Spine computed tomography — sagittal reformat — bone window — scan covers 23 annotated vertebrae — an area of the scan was removed and filled with constant pixels
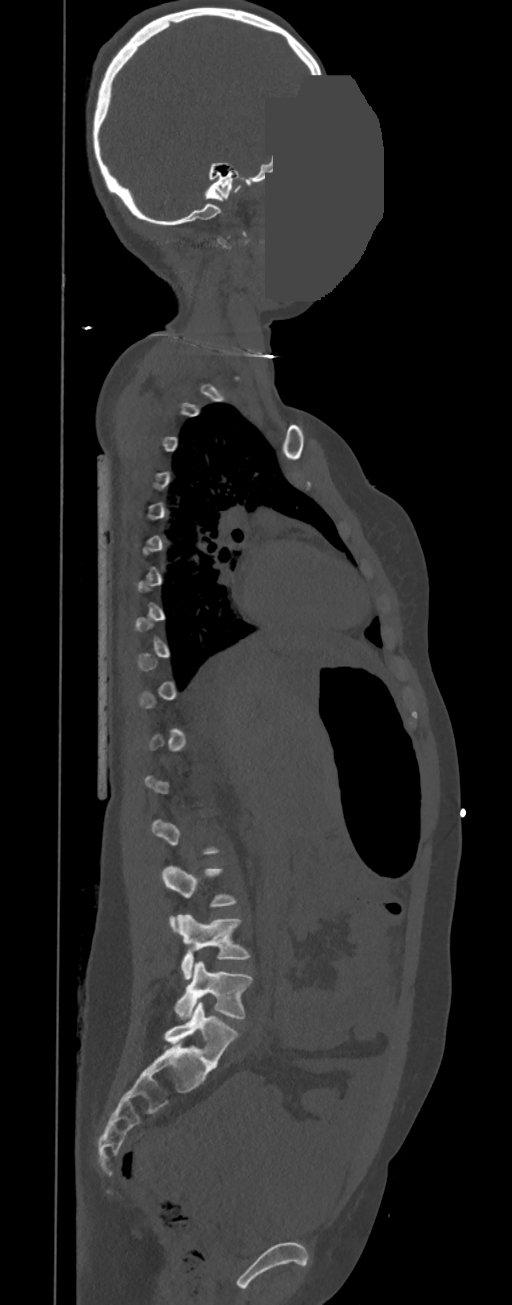
Not every vertebra on this slice has a box: a vertebra is boxed only from the first to the last slice where its cross-section is at least a third of its largest, and this slice is outside that range for at least one of them.
<vertebrae><v name="L3" x1="162" y1="866" x2="237" y2="929"/><v name="L4" x1="177" y1="914" x2="250" y2="979"/><v name="L5" x1="174" y1="961" x2="252" y2="1019"/></vertebrae>